Spine CT; sagittal plane, index 322; Bone window (WL 400, WW 1800); 512x929 px; scan covers 13 annotated vertebrae
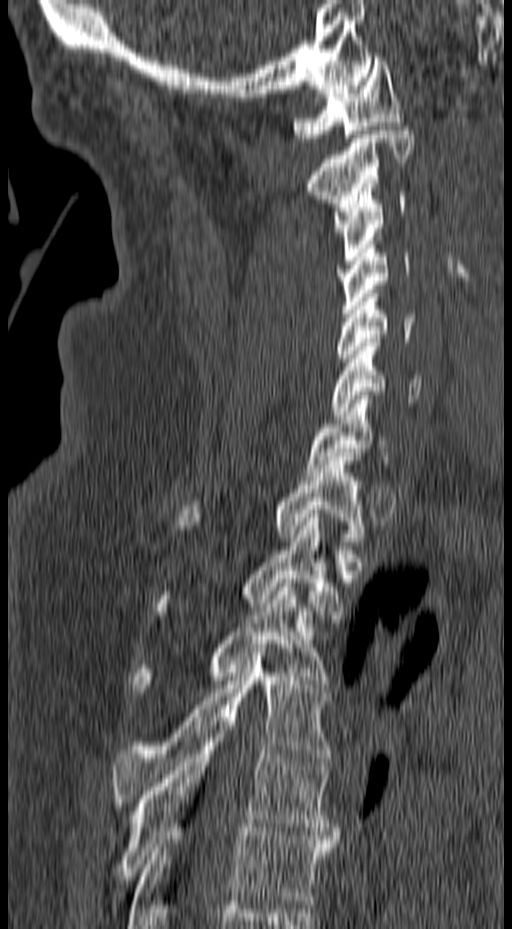
<vertebrae><v name="C1" x1="291" y1="57" x2="405" y2="142"/><v name="C2" x1="304" y1="126" x2="414" y2="231"/><v name="C3" x1="332" y1="188" x2="407" y2="264"/><v name="C4" x1="337" y1="241" x2="411" y2="313"/><v name="C5" x1="335" y1="294" x2="415" y2="362"/><v name="C6" x1="331" y1="338" x2="421" y2="419"/><v name="C7" x1="304" y1="391" x2="393" y2="476"/><v name="T1" x1="174" y1="457" x2="367" y2="545"/><v name="T2" x1="151" y1="514" x2="343" y2="615"/><v name="T3" x1="131" y1="579" x2="330" y2="696"/><v name="T4" x1="111" y1="648" x2="333" y2="806"/><v name="T5" x1="114" y1="726" x2="339" y2="884"/><v name="T6" x1="127" y1="828" x2="336" y2="928"/></vertebrae>